CT spine — sagittal view — the image spans 182 mm across — bone window
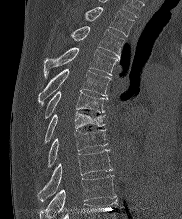

Coordinates as <box>x1,y1,x2,y2</box>.
T2: <box>85,7,133,36</box>
T3: <box>71,26,124,57</box>
T4: <box>44,47,119,78</box>
T5: <box>38,69,110,104</box>
T6: <box>43,91,107,119</box>
T7: <box>44,112,104,144</box>
T8: <box>47,130,107,167</box>
T9: <box>38,150,113,201</box>
T10: <box>40,175,115,218</box>